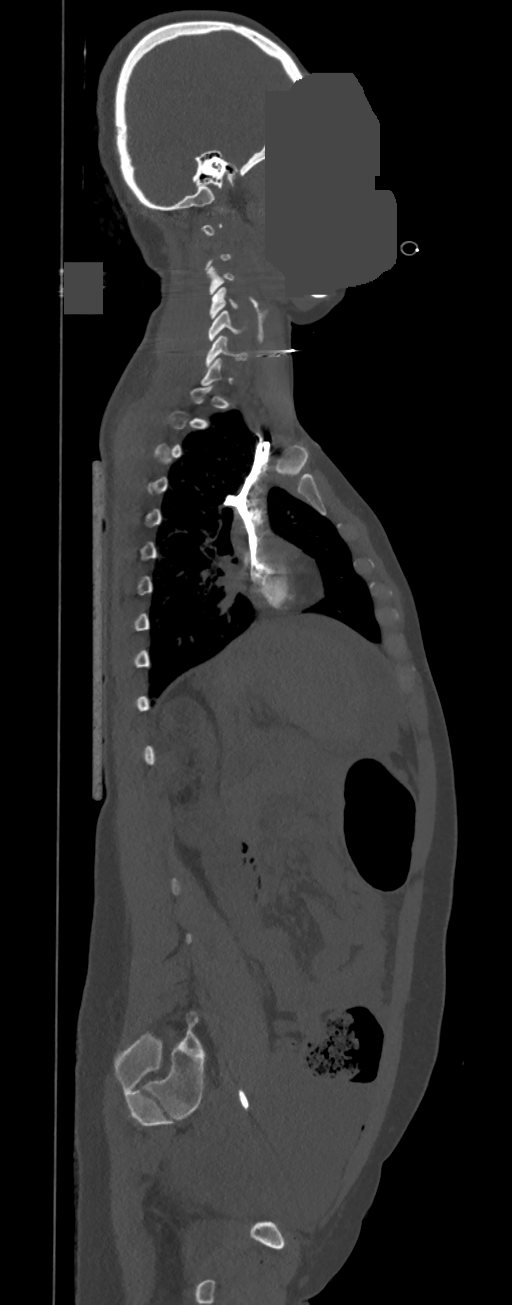
CT, spine; 350 mm image width; sagittal view; bone-window reconstruction; some of the image was removed or blocked out with constant pixels
Each vertebra is boxed only on the slices from the first to the last where its cross-section reaches a third of its largest, so a slice outside that range leaves it unboxed.
<vertebrae><v name="C3" x1="206" y1="266" x2="234" y2="294"/><v name="C4" x1="209" y1="287" x2="238" y2="319"/><v name="C5" x1="208" y1="311" x2="244" y2="340"/><v name="C6" x1="206" y1="336" x2="248" y2="366"/></vertebrae>